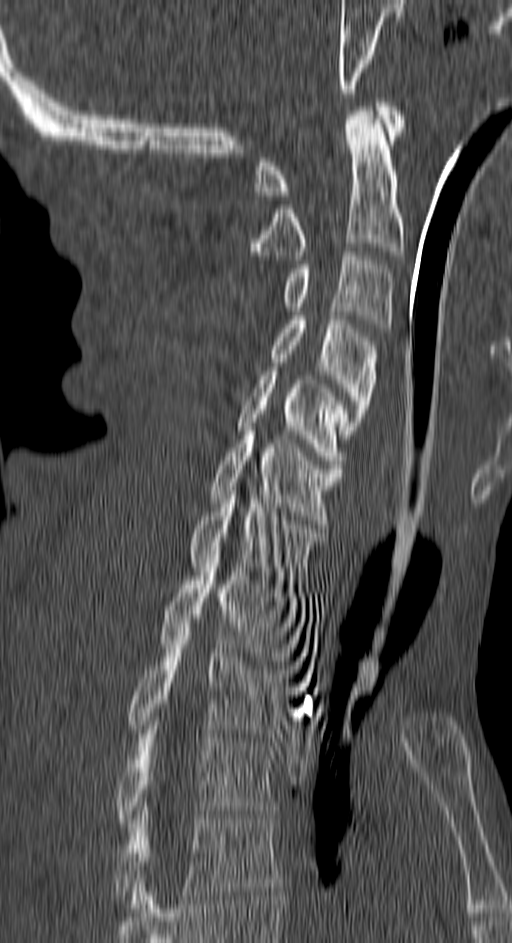

Spine computed tomography; sagittal view; W/L 1800/400 HU. Columns x1, y1, x2, y2 give each box's top-left and bottom-right pixels.
| vertebra | x1 | y1 | x2 | y2 |
|---|---|---|---|---|
| C1 | 256 | 102 | 403 | 195 |
| C2 | 250 | 107 | 403 | 259 |
| C3 | 285 | 252 | 393 | 332 |
| C4 | 271 | 316 | 376 | 438 |
| C5 | 237 | 371 | 349 | 468 |
| C6 | 209 | 427 | 342 | 524 |
| C7 | 189 | 491 | 324 | 588 |
| T1 | 158 | 559 | 302 | 665 |
| T2 | 128 | 627 | 288 | 737 |
| T3 | 117 | 730 | 277 | 822 |
| T4 | 114 | 811 | 280 | 908 |